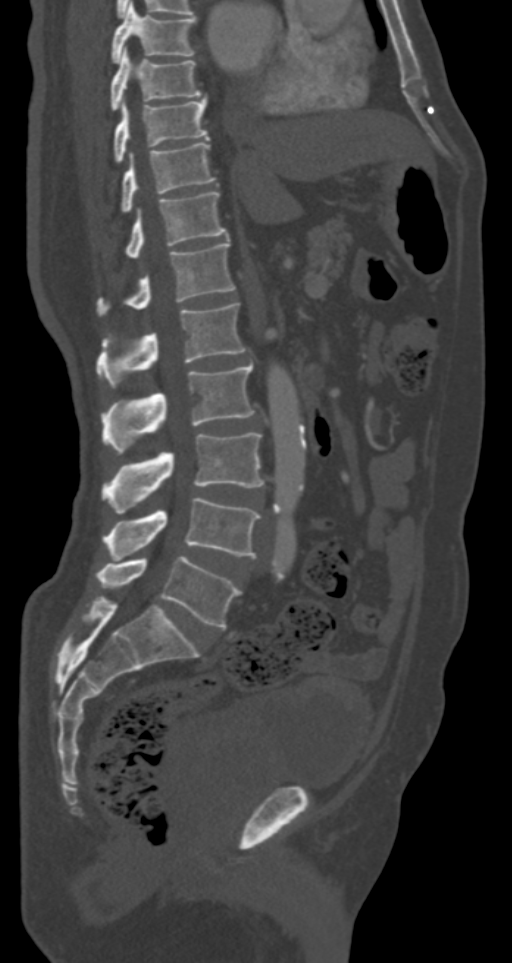 Spine computed tomography — sagittal reformat — Bone window (WL 400, WW 1800). Each row gives a vertebra's box as x1, y1, x2, y2 in pixels: top-left corner, then bottom-right corner.
| vertebra | x1 | y1 | x2 | y2 |
|---|---|---|---|---|
| T7 | 110 | 4 | 197 | 63 |
| T8 | 110 | 47 | 202 | 111 |
| T9 | 114 | 97 | 209 | 163 |
| T10 | 121 | 142 | 216 | 213 |
| T11 | 124 | 192 | 227 | 257 |
| T12 | 96 | 242 | 234 | 316 |
| L1 | 96 | 303 | 245 | 386 |
| L2 | 101 | 363 | 254 | 454 |
| L3 | 101 | 433 | 264 | 512 |
| L4 | 101 | 497 | 261 | 558 |
| L5 | 96 | 556 | 241 | 628 |